CT, spine · 399 mm wide · Sagittal slice 245/512 · bone window · 512x637 px
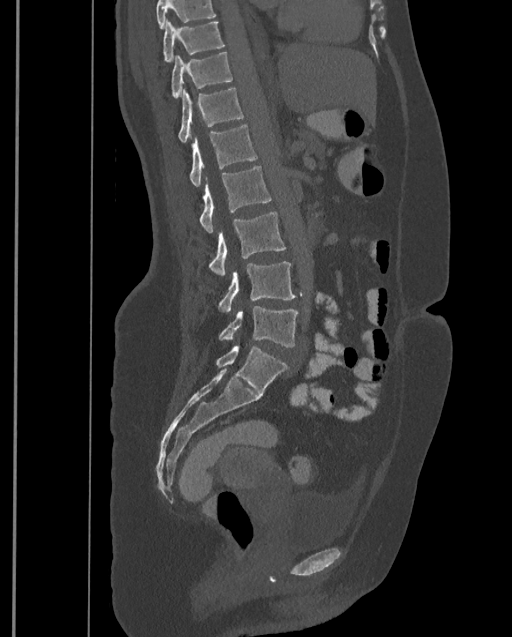 Each vertebra maps to its box as [x1, y1, x2, y2], the pixel coordinates of its top-left and bottom-right corners.
Vertebrae that run past the top of the scan are left unlabeled.
Labels in this scan begin with T9 at the top and end with L4 at the bottom.
{"vertebrae":{"T9":[163,20,225,61],"T10":[171,51,232,99],"T11":[178,87,244,142],"T12":[189,125,257,186],"L1":[199,166,271,232],"L2":[209,211,286,276],"L3":[218,262,295,311],"L4":[218,306,298,347]}}